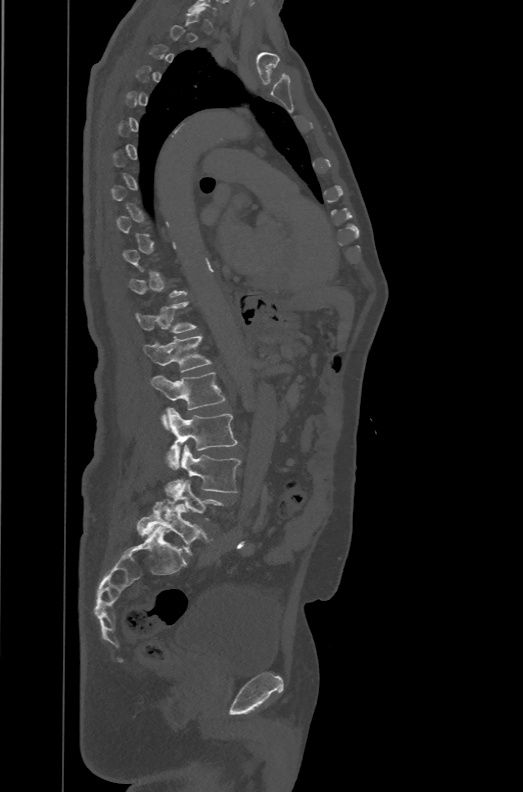 Computed tomography of the spine · sagittal view · bone window. Box edges are left/top/right/bottom in pixels.
Each vertebra is boxed only on the slices from the first to the last where its cross-section reaches a third of its largest, so a slice outside that range leaves it unboxed.
These labels give the spine a sixth lumbar vertebra, L6, below L5.
T12: left=135, top=301, right=195, bottom=333
L1: left=143, top=335, right=212, bottom=372
L2: left=150, top=372, right=225, bottom=429
L3: left=165, top=408, right=237, bottom=469
L4: left=166, top=444, right=240, bottom=495
L6: left=137, top=499, right=213, bottom=555